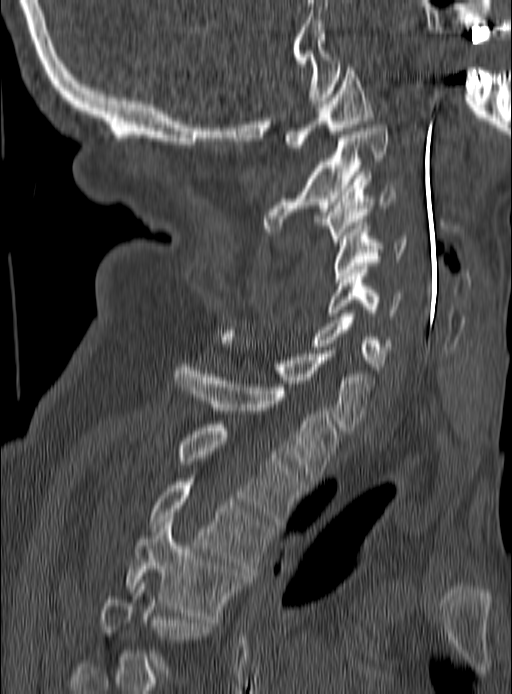

CT, spine — sagittal view — 512x694 px. Box edges are left/top/right/bottom in pixels.
A vertebra is boxed only from the first to the last slice where its cross-section is at least a third of its largest; slices outside that range leave it without a box.
Vertebra bounding boxes:
- C1: left=284, top=64, right=373, bottom=151
- C2: left=262, top=125, right=388, bottom=231
- C3: left=319, top=175, right=394, bottom=245
- C4: left=332, top=222, right=406, bottom=282
- C5: left=327, top=269, right=402, bottom=316
- C6: left=311, top=313, right=392, bottom=370
- C7: left=219, top=333, right=374, bottom=430
- T1: left=173, top=364, right=339, bottom=484
- T2: left=179, top=424, right=304, bottom=524
- T3: left=149, top=482, right=269, bottom=572
- T4: left=128, top=519, right=242, bottom=619